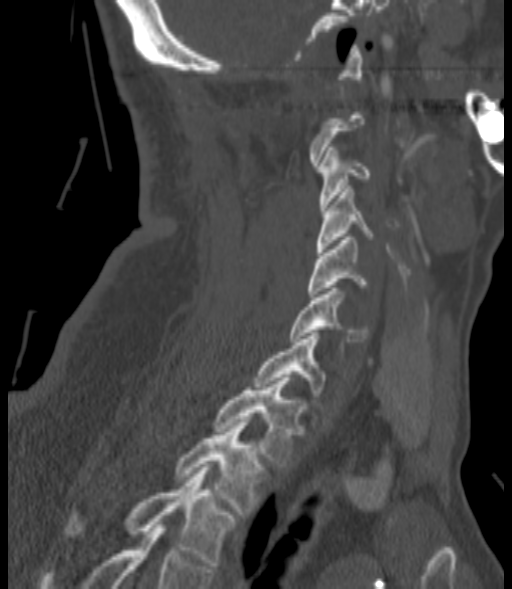

CT spine — sagittal view — 512x589 px — the image is 200 mm wide
Each box given as x1,y1,x2,y2. A vertebra is boxed only from the first to the last slice where its cross-section is at least a third of its largest; slices outside that range leave it without a box. 8 vertebrae labeled — C3 at x1=318, y1=147, x2=371, y2=210; C4 at x1=316, y1=186, x2=374, y2=252; C5 at x1=308, y1=237, x2=368, y2=297; C6 at x1=290, y1=288, x2=368, y2=341; C7 at x1=254, y1=330, x2=325, y2=396; T1 at x1=213, y1=378, x2=302, y2=466; T2 at x1=175, y1=422, x2=263, y2=517; T3 at x1=67, y1=467, x2=235, y2=565.